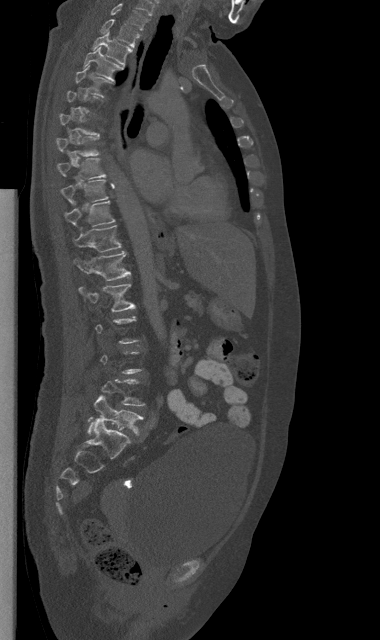 CT. sagittal view
Not every vertebra on this slice has a box: a vertebra is boxed only from the first to the last slice where its cross-section is at least a third of its largest, and this slice is outside that range for at least one of them.
<vertebrae><v name="C7" x1="111" y1="3" x2="148" y2="29"/><v name="T1" x1="100" y1="19" x2="139" y2="47"/><v name="T2" x1="92" y1="32" x2="132" y2="65"/><v name="T3" x1="83" y1="47" x2="124" y2="81"/><v name="T4" x1="75" y1="66" x2="109" y2="96"/><v name="T8" x1="57" y1="158" x2="106" y2="178"/><v name="T9" x1="61" y1="179" x2="108" y2="204"/><v name="T10" x1="65" y1="201" x2="115" y2="226"/><v name="T11" x1="74" y1="225" x2="121" y2="252"/><v name="T12" x1="74" y1="251" x2="131" y2="280"/><v name="L1" x1="78" y1="284" x2="135" y2="311"/><v name="L5" x1="88" y1="395" x2="143" y2="434"/></vertebrae>